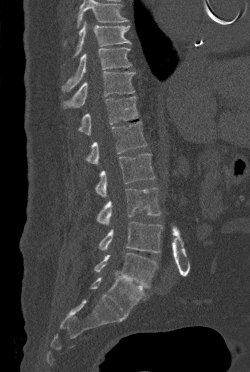

Spine CT; sagittal view; bone window
Columns x1, y1, x2, y2 give each box's top-left and bottom-right pixels.
A vertebra cut off by the top edge of the scan is not labeled and has no box.
| vertebra | x1 | y1 | x2 | y2 |
|---|---|---|---|---|
| L5 | 94 | 253 | 157 | 288 |
| L4 | 99 | 221 | 162 | 252 |
| L3 | 96 | 188 | 160 | 224 |
| L2 | 95 | 153 | 155 | 197 |
| L1 | 85 | 121 | 147 | 164 |
| T12 | 78 | 96 | 138 | 135 |
| T11 | 63 | 71 | 135 | 108 |
| T10 | 62 | 47 | 131 | 91 |
| T9 | 74 | 21 | 131 | 56 |